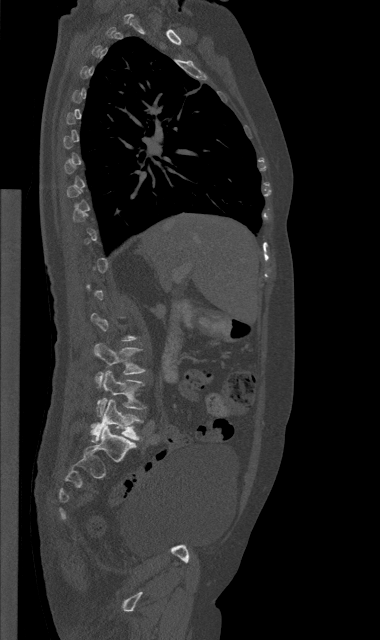

Computed tomography of the spine · sagittal view · W/L 1800/400 HU. Box edges are left/top/right/bottom in pixels.
A vertebra gets a box only on the slices from the first to the last where its cross-section is at least a third of its largest; on a slice outside that range it gets none.
| vertebra | x1 | y1 | x2 | y2 |
|---|---|---|---|---|
| L3 | 94 | 343 | 144 | 386 |
| L4 | 97 | 371 | 144 | 416 |
| L5 | 91 | 399 | 141 | 442 |